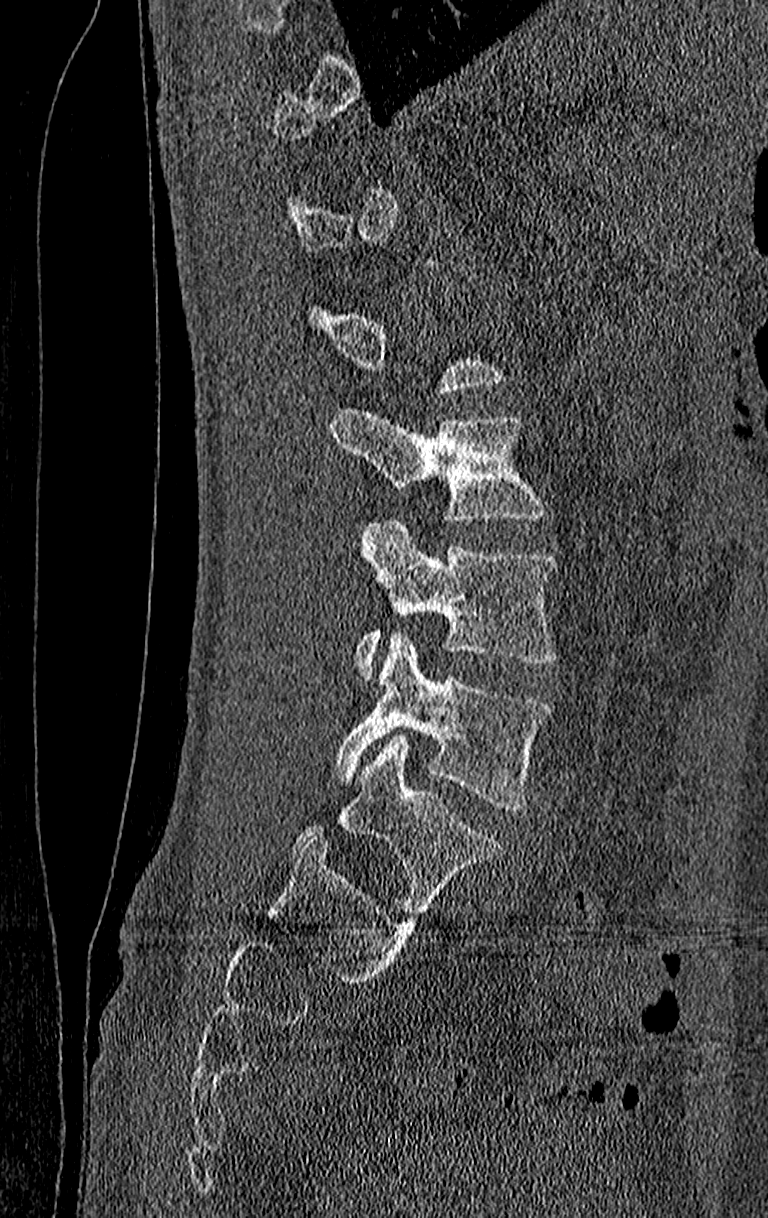

Computed tomography of the spine. sagittal reformat. the image is 210 mm wide
Bounding boxes as [x1, y1, x2, y2] in pixel coordinates. A vertebra is boxed only from the first to the last slice where its cross-section is at least a third of its largest; slices outside that range leave it without a box. The highest labeled vertebra in this scan is T11; the lowest is L4. The labeled vertebrae in this slice are: L4 at [335, 634, 554, 809], L3 at [353, 517, 557, 680], L2 at [331, 406, 550, 522].